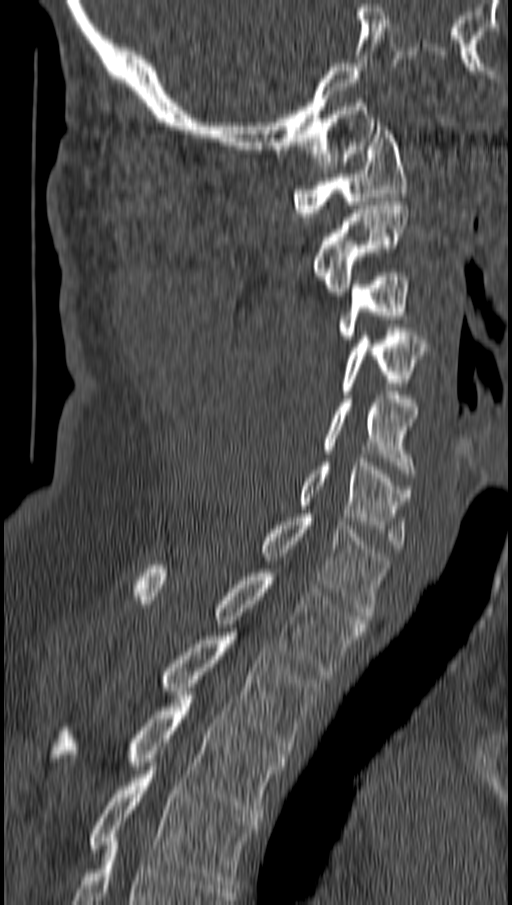

CT, spine; sagittal view; bone window; the image spans 162 mm across. Each box given as x1,y1,x2,y2. The labeled vertebrae in this slice are: C1 at x1=294, y1=122, x2=405, y2=216, C2 at x1=314, y1=201, x2=408, y2=295, C3 at x1=339, y1=273, x2=408, y2=343, C4 at x1=342, y1=328, x2=428, y2=394, C5 at x1=323, y1=395, x2=416, y2=477, C6 at x1=301, y1=458, x2=411, y2=548, C7 at x1=263, y1=514, x2=389, y2=619, T1 at x1=136, y1=565, x2=364, y2=675, T2 at x1=162, y1=632, x2=319, y2=754, T3 at x1=55, y1=691, x2=285, y2=817, T4 at x1=90, y1=762, x2=256, y2=888.